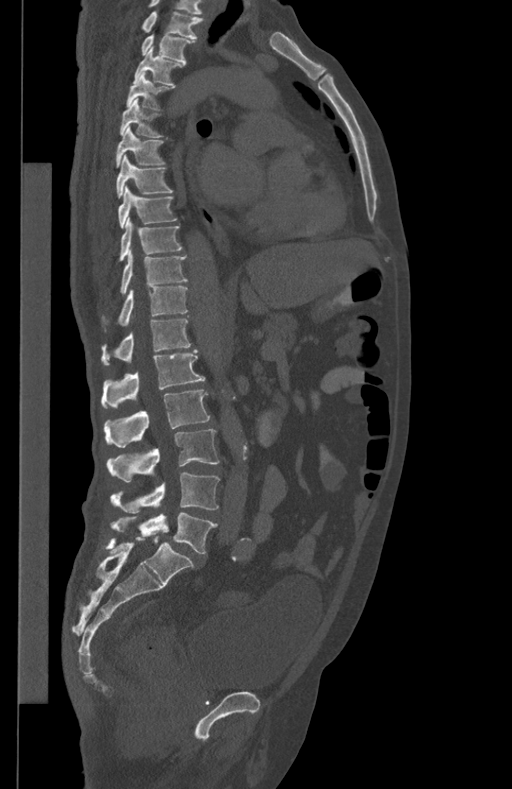
CT, spine; sagittal view; image width 434 mm
This scan's labels start at T1 at the top and end at L5 at the bottom.
<vertebrae><v name="T1" x1="141" y1="12" x2="203" y2="38"/><v name="T2" x1="141" y1="34" x2="194" y2="63"/><v name="T3" x1="133" y1="47" x2="182" y2="85"/><v name="T4" x1="126" y1="72" x2="173" y2="109"/><v name="T5" x1="119" y1="98" x2="163" y2="137"/><v name="T6" x1="116" y1="125" x2="165" y2="168"/><v name="T7" x1="116" y1="154" x2="172" y2="198"/><v name="T8" x1="118" y1="186" x2="177" y2="227"/><v name="T9" x1="119" y1="217" x2="182" y2="260"/><v name="T10" x1="120" y1="250" x2="188" y2="293"/><v name="T11" x1="118" y1="287" x2="188" y2="325"/><v name="T12" x1="101" y1="319" x2="190" y2="364"/><v name="L1" x1="101" y1="348" x2="204" y2="408"/><v name="L2" x1="104" y1="389" x2="210" y2="447"/><v name="L3" x1="107" y1="429" x2="220" y2="481"/><v name="L4" x1="111" y1="472" x2="220" y2="512"/><v name="L5" x1="111" y1="513" x2="217" y2="553"/></vertebrae>